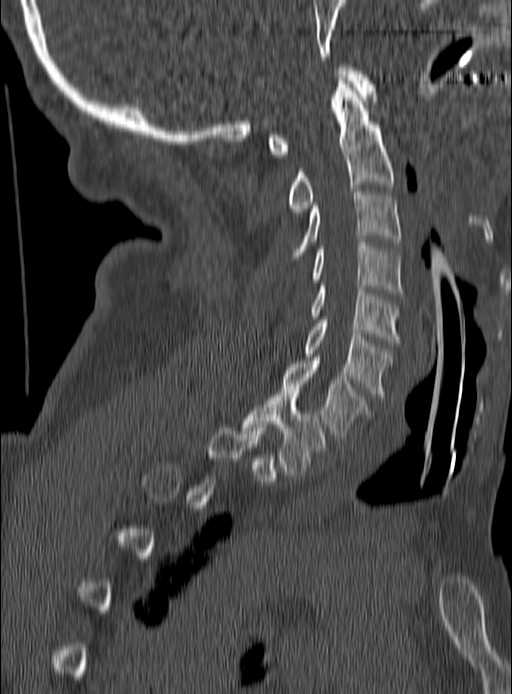
CT, spine. image width 190 mm. sagittal view. W/L 1800/400 HU
Each vertebra maps to its box as [x1, y1, x2, y2], the pixel coordinates of its top-left and bottom-right corners.
A vertebra gets a box only on the slices from the first to the last where its cross-section is at least a third of its largest; on a slice outside that range it gets none.
{"vertebrae":{"C1":[268,67,374,157],"C2":[289,77,393,215],"C3":[292,189,401,258],"C4":[311,243,401,295],"C5":[311,283,399,343],"C6":[303,317,391,400],"C7":[280,360,369,440],"T1":[243,391,326,474]}}